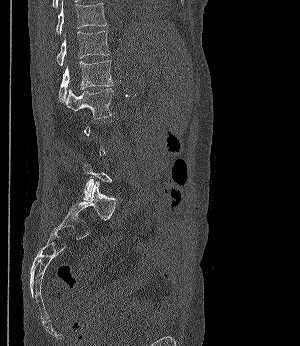

Computed tomography of the spine · sagittal view · W/L 1800/400 HU · 300x346 px
Each box given as x1,y1,x2,y2. Each vertebra is boxed only on the slices from the first to the last where its cross-section reaches a third of its largest, so a slice outside that range leaves it unboxed. Vertebrae labeled: T11 at x1=56, y1=0, x2=106, y2=36, T12 at x1=57, y1=30, x2=109, y2=66, L1 at x1=59, y1=60, x2=112, y2=101, L2 at x1=64, y1=88, x2=113, y2=119.